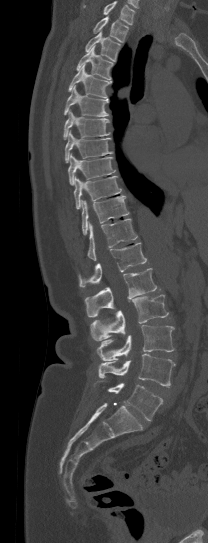
Spine computed tomography · sagittal view
Boxes are (x1, y1, x2, y2) in pixels.
Vertebrae that run past the top of the scan are left unlabeled.
L5: (108, 383, 162, 420)
L4: (98, 353, 176, 387)
L3: (97, 325, 174, 360)
L2: (91, 294, 168, 340)
L1: (85, 268, 157, 316)
T12: (78, 242, 146, 287)
T11: (87, 218, 137, 260)
T10: (82, 195, 128, 234)
T9: (74, 176, 121, 209)
T8: (68, 153, 115, 185)
T7: (65, 130, 112, 162)
T6: (63, 110, 110, 139)
T5: (64, 85, 108, 116)
T4: (68, 66, 111, 97)
T3: (76, 45, 112, 80)
T2: (85, 32, 120, 61)
T1: (93, 17, 129, 42)